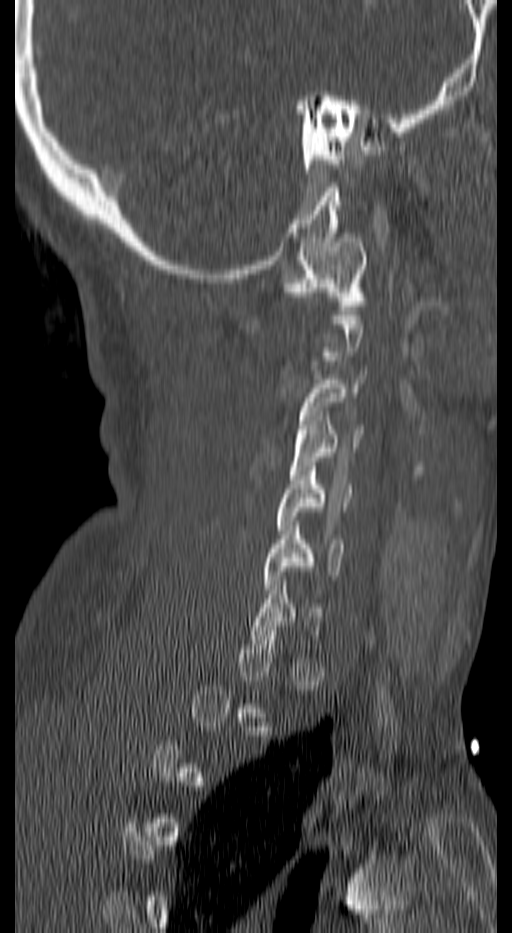 Spine computed tomography — sagittal reformat — 512x933 px
A vertebra gets a box only on the slices from the first to the last where its cross-section is at least a third of its largest; on a slice outside that range it gets none.
<vertebrae><v name="C1" x1="283" y1="233" x2="366" y2="314"/><v name="C3" x1="298" y1="370" x2="366" y2="438"/><v name="C4" x1="290" y1="411" x2="362" y2="479"/><v name="C5" x1="276" y1="466" x2="351" y2="534"/><v name="C6" x1="265" y1="521" x2="344" y2="593"/><v name="C7" x1="250" y1="581" x2="326" y2="644"/></vertebrae>